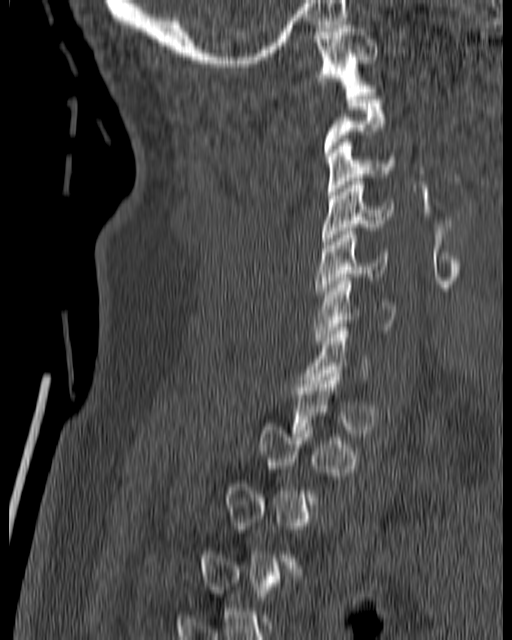 Computed tomography of the spine — sagittal view — 180 mm across the image — bone window — 512x640 px

Box values are [left, top, right, bottom] in pixels.
A vertebra is boxed only from the first to the last slice where its cross-section is at least a third of its largest; slices outside that range leave it without a box.
{"vertebrae":{"C6":[314,277,396,344],"C5":[315,228,390,294],"C4":[322,178,393,248],"C3":[326,139,395,195],"C1":[313,21,377,95]}}